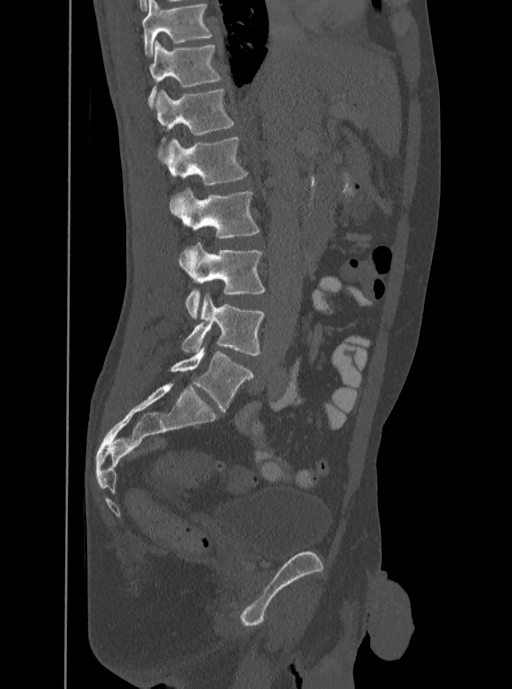
CT, spine. image width 350 mm. sagittal view. bone window. 512x689 px
Box edges are left/top/right/bottom in pixels.
This scan's labels start at T12 at the top and end at L5 at the bottom.
| vertebra | x1 | y1 | x2 | y2 |
|---|---|---|---|---|
| T12 | 148 | 41 | 220 | 107 |
| L1 | 154 | 88 | 234 | 149 |
| L2 | 162 | 137 | 247 | 185 |
| L3 | 169 | 187 | 259 | 237 |
| L4 | 178 | 242 | 265 | 318 |
| L5 | 181 | 294 | 264 | 356 |